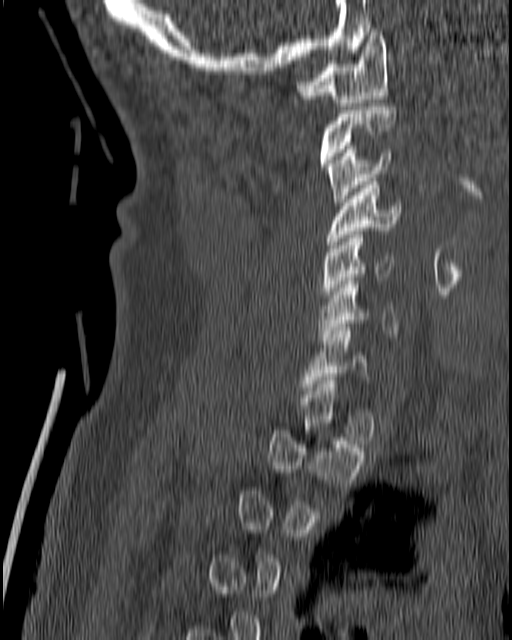
Spine CT. sagittal view. image 180 mm wide. Bone window (WL 400, WW 1800). Bounding boxes as [x1, y1, x2, y2] in pixel coordinates.
Each vertebra is boxed only on the slices from the first to the last where its cross-section reaches a third of its largest, so a slice outside that range leaves it unboxed.
C1: [297, 28, 389, 106]
C2: [319, 107, 396, 166]
C3: [326, 146, 392, 205]
C4: [325, 178, 401, 248]
C5: [319, 235, 393, 301]
C6: [318, 277, 398, 344]
C7: [302, 327, 367, 390]